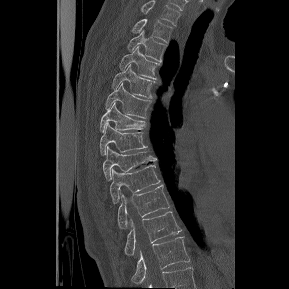
Computed tomography of the spine · sagittal view · Bone window (WL 400, WW 1800)

Each box is [x1, y1, x2, y2] in pixels: top-left corner, then bottom-right corner.
In this scan, the topmost labeled vertebra is T1 and the lowest is T12.
{"vertebrae":{"T1":[132,18,172,42],"T2":[127,31,166,60],"T3":[119,46,160,79],"T4":[112,64,157,98],"T5":[105,83,152,118],"T6":[100,103,147,132],"T7":[100,124,147,155],"T8":[102,147,157,180],"T9":[110,164,161,203],"T10":[117,184,170,228],"T11":[124,211,181,255],"T12":[131,237,190,284]}}